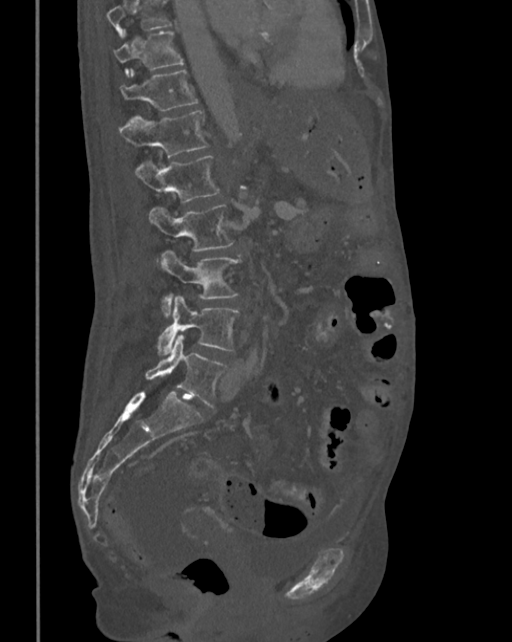 Computed tomography of the spine — sagittal view — bone-window reconstruction
Boxes: x1 y1 x2 y2 (pixel coords, space-separated). Vertebrae that run past the top of the scan are left unlabeled. Vertebrae labeled: L5 at 145 334 229 408, L4 at 157 296 240 355, L3 at 161 250 241 317, L2 at 149 204 234 251, L1 at 136 155 220 202, T12 at 120 110 208 157, T11 at 120 69 198 110, T10 at 114 30 184 76.